CT. Sagittal slice 384/512. 11 vertebrae labeled in this scan
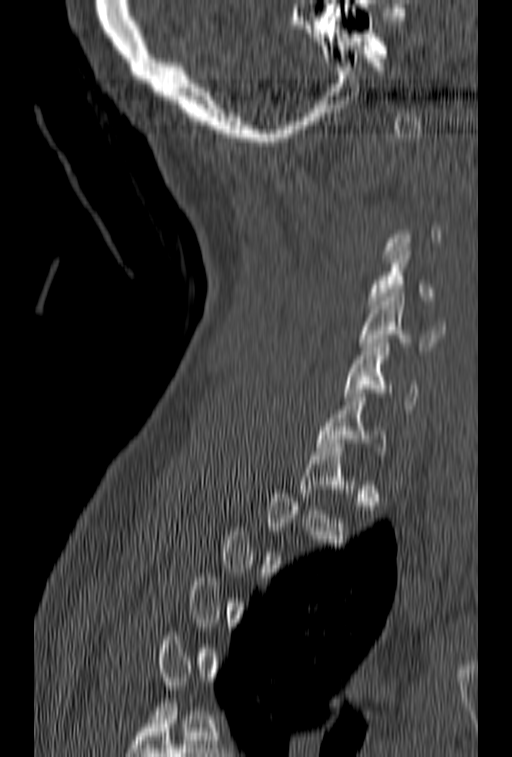

A vertebra gets a box only on the slices from the first to the last where its cross-section is at least a third of its largest; on a slice outside that range it gets none.
<vertebrae><v name="C4" x1="368" y1="247" x2="434" y2="309"/><v name="C5" x1="359" y1="293" x2="445" y2="350"/><v name="C6" x1="343" y1="339" x2="418" y2="413"/><v name="C7" x1="316" y1="393" x2="385" y2="455"/></vertebrae>